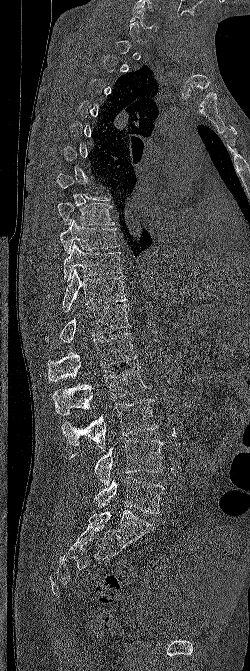 Spine computed tomography; sagittal reformat; 250 mm image width; bone-window reconstruction
Boxes are (x1, y1, x2, y2) in pixels.
A vertebra gets a box only on the slices from the first to the last where its cross-section is at least a third of its largest; on a slice outside that range it gets none.
Vertebra bounding boxes:
- L5: (76, 477, 165, 514)
- L4: (70, 440, 163, 485)
- L3: (61, 399, 157, 448)
- L2: (52, 366, 146, 415)
- L1: (46, 332, 137, 380)
- T12: (45, 304, 131, 343)
- T11: (61, 268, 127, 312)
- T10: (63, 242, 122, 282)
- T9: (60, 219, 121, 254)
- T8: (57, 202, 114, 225)
- C6: (130, 8, 158, 31)